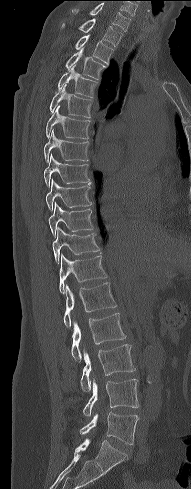
Computed tomography of the spine — image width 191 mm — sagittal view

Each box is [x1, y1, x2, y2] in pixels: top-left corner, then bottom-right corner.
{"vertebrae":{"C7":[72,3,130,31],"T1":[60,18,123,46],"T2":[74,35,114,63],"T3":[66,49,105,79],"T4":[58,65,98,97],"T5":[50,85,93,118],"T6":[46,106,91,139],"T7":[44,129,89,162],"T8":[43,154,91,186],"T9":[46,179,92,210],"T10":[48,203,94,236],"T11":[52,227,101,264],"T12":[59,253,107,294],"L1":[63,282,117,328],"L2":[71,313,126,362],"L3":[80,344,135,391],"L4":[83,379,139,416],"L5":[79,412,138,444]}}